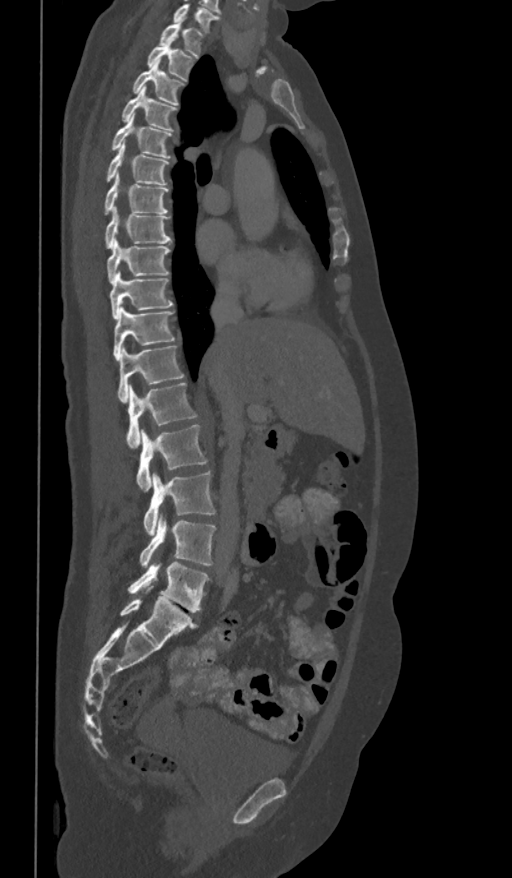

CT. sagittal view
Boxes are given in columns x1, y1, x2, y2, the pixel coordinates of their top-left and bottom-right corners.
The highest labeled vertebra in this scan is T1; the lowest is L5.
| vertebra | x1 | y1 | x2 | y2 |
|---|---|---|---|---|
| T1 | 160 | 22 | 204 | 56 |
| T2 | 147 | 42 | 195 | 81 |
| T3 | 132 | 59 | 185 | 105 |
| T4 | 122 | 86 | 177 | 132 |
| T5 | 110 | 114 | 173 | 159 |
| T6 | 106 | 140 | 170 | 185 |
| T7 | 103 | 175 | 169 | 215 |
| T8 | 105 | 206 | 170 | 248 |
| T9 | 106 | 239 | 170 | 284 |
| T10 | 109 | 272 | 173 | 318 |
| T11 | 113 | 306 | 175 | 360 |
| T12 | 118 | 345 | 185 | 402 |
| L1 | 126 | 383 | 197 | 447 |
| L2 | 136 | 425 | 207 | 492 |
| L3 | 143 | 471 | 216 | 534 |
| L4 | 139 | 516 | 216 | 567 |
| L5 | 127 | 562 | 210 | 612 |